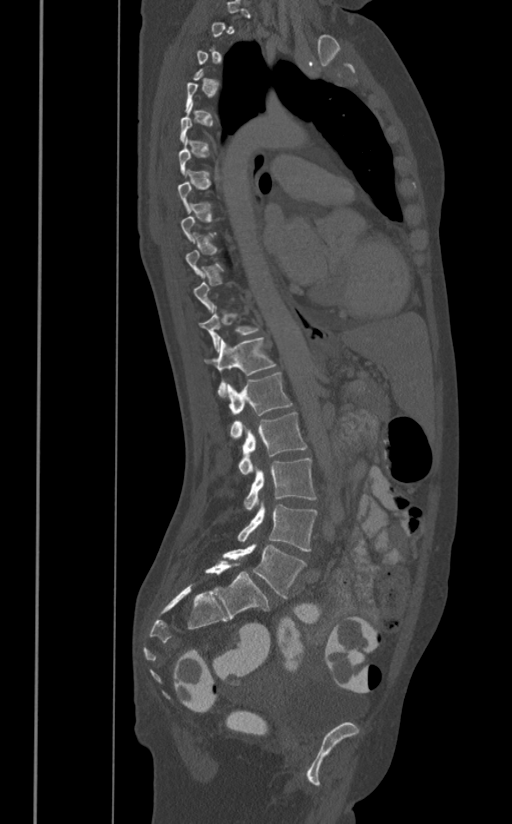

CT; sagittal view; 391 mm image width; bone window
Boxes below are [x1, y1, x2, y2] in pixels.
A vertebra is boxed only from the first to the last slice where its cross-section is at least a third of its largest; slices outside that range leave it without a box.
{"vertebrae":{"L5":[222,543,307,598],"L4":[237,502,317,551],"L3":[243,458,317,509],"L2":[238,412,307,474],"L1":[227,372,292,437],"T12":[205,338,276,397],"T11":[199,305,261,351]}}